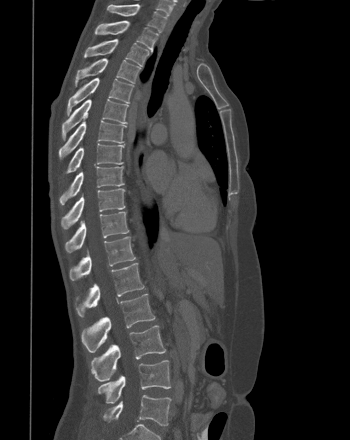
CT · sagittal view · bone-window reconstruction · 350 mm across the image · 350x440 px
Box edges are left/top/right/bottom in pixels.
Vertebra bounding boxes:
- T1: left=108, top=4, right=166, bottom=32
- T2: left=95, top=20, right=158, bottom=51
- T3: left=84, top=39, right=148, bottom=65
- T4: left=75, top=58, right=140, bottom=85
- T5: left=66, top=77, right=133, bottom=115
- T6: left=62, top=99, right=128, bottom=139
- T7: left=59, top=120, right=126, bottom=158
- T8: left=66, top=143, right=124, bottom=173
- T9: left=59, top=166, right=124, bottom=204
- T10: left=61, top=188, right=125, bottom=229
- T11: left=65, top=211, right=129, bottom=252
- T12: left=69, top=236, right=135, bottom=280
- L1: left=76, top=263, right=144, bottom=317
- L2: left=81, top=294, right=155, bottom=351
- L3: left=91, top=325, right=165, bottom=381
- L4: left=98, top=360, right=170, bottom=403
- L5: left=103, top=395, right=171, bottom=426